Spine computed tomography · sagittal view · 512x757 px · 11 vertebrae labeled in this scan
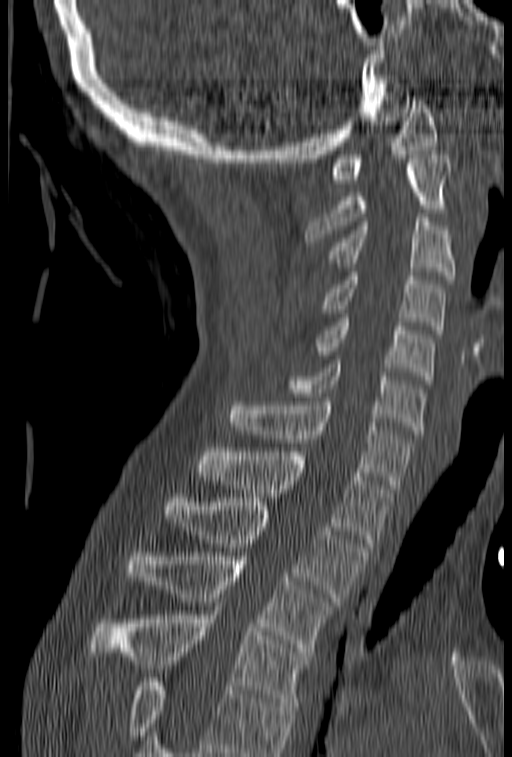
Boxes: x1:y1:x2:y2 in pixels.
Vertebrae that run past the bottom of the scan are left unlabeled.
Vertebra bounding boxes:
- C1: 331:96:437:183
- C2: 305:155:452:246
- C3: 326:213:455:279
- C4: 321:272:445:334
- C5: 314:314:435:380
- C6: 284:360:425:434
- C7: 229:397:412:488
- T1: 198:448:392:547
- T2: 164:502:368:601
- T3: 128:552:335:656
- T4: 90:602:312:706